CT, spine; sagittal view; bone window; 8 vertebrae labeled in this scan
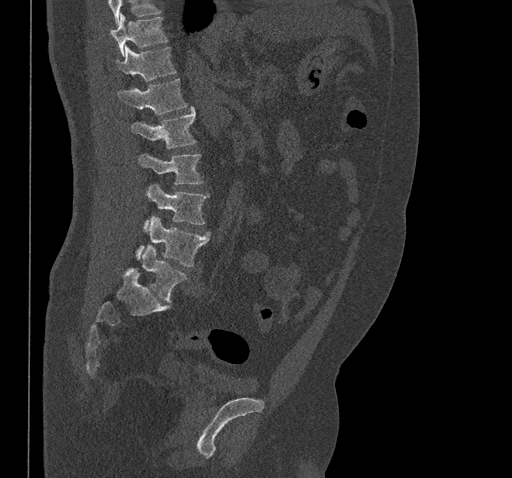 Boxes below are [x1, y1, x2, y2] in pixels.
No box is given to a vertebra that the top edge of the scan cuts off.
{"vertebrae":{"T10":[110,16,166,55],"T11":[117,46,175,80],"T12":[118,79,186,114],"L1":[131,107,195,148],"L2":[139,154,202,184],"L3":[144,185,207,230],"L4":[136,216,209,266],"L5":[142,246,186,301]}}